CT, spine · image 180 mm wide · Sagittal slice 279/512 · bone window
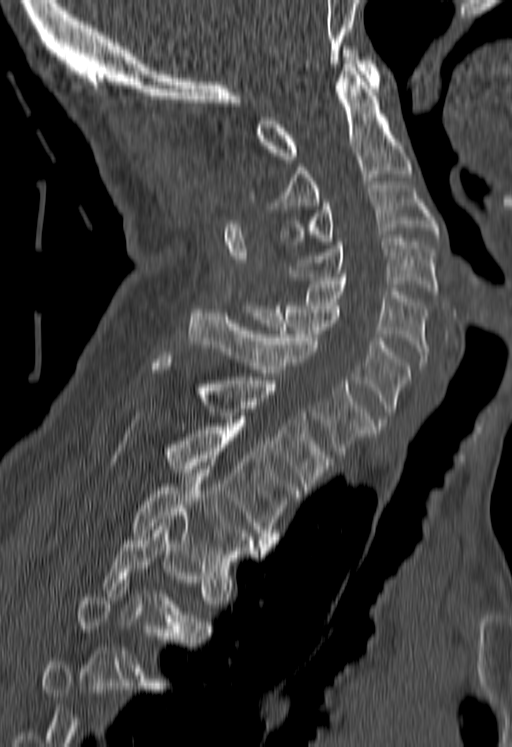 Coordinates as <box>x1,y1,x2,y2</box>. Not every vertebra on this slice has a box: a vertebra is boxed only from the first to the last slice where its cross-section is at least a third of its largest, and this slice is outside that range for at least one of them. Vertebrae labeled: C1 at <box>255,46,379,159</box>, C2 at <box>271,64,412,209</box>, C3 at <box>280,185,438,244</box>, C4 at <box>289,238,438,294</box>, C5 at <box>298,277,429,369</box>, C6 at <box>242,302,410,422</box>, C7 at <box>188,309,373,454</box>, T1 at <box>150,352,333,490</box>, T2 at <box>166,423,301,547</box>, T3 at <box>132,466,264,571</box>, T4 at <box>102,523,210,639</box>.